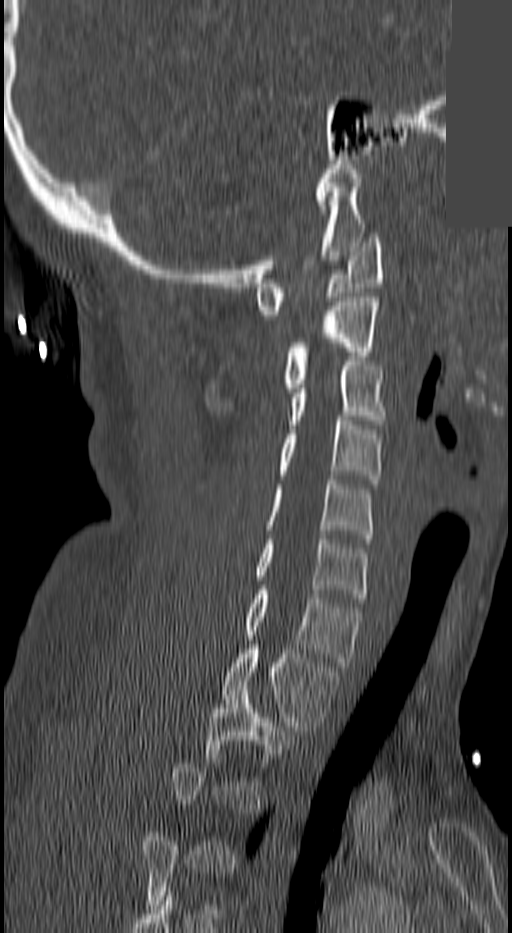

Spine CT — sagittal view — 512x933 px — a region is masked with a constant gray value
Each row gives a vertebra's box as x1, y1, x2, y2 in pixels: top-left corner, then bottom-right corner.
Not every vertebra on this slice has a box: a vertebra is boxed only from the first to the last slice where its cross-section is at least a third of its largest, and this slice is outside that range for at least one of them.
| vertebra | x1 | y1 | x2 | y2 |
|---|---|---|---|---|
| C1 | 254 | 238 | 384 | 319 |
| C2 | 279 | 297 | 377 | 392 |
| C3 | 287 | 361 | 388 | 429 |
| C4 | 279 | 416 | 381 | 484 |
| C5 | 265 | 480 | 373 | 538 |
| C6 | 254 | 539 | 366 | 602 |
| C7 | 246 | 590 | 362 | 666 |
| T1 | 221 | 640 | 337 | 735 |
| T2 | 206 | 690 | 289 | 785 |